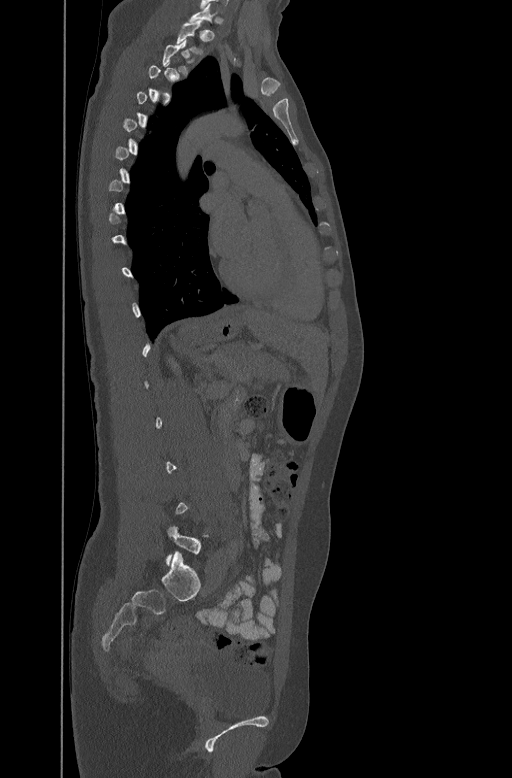
Computed tomography of the spine · sagittal view · W/L 1800/400 HU
Each vertebra is boxed only on the slices from the first to the last where its cross-section reaches a third of its largest, so a slice outside that range leaves it unboxed.
<vertebrae><v name="C7" x1="189" y1="3" x2="221" y2="23"/><v name="T1" x1="176" y1="23" x2="201" y2="52"/></vertebrae>